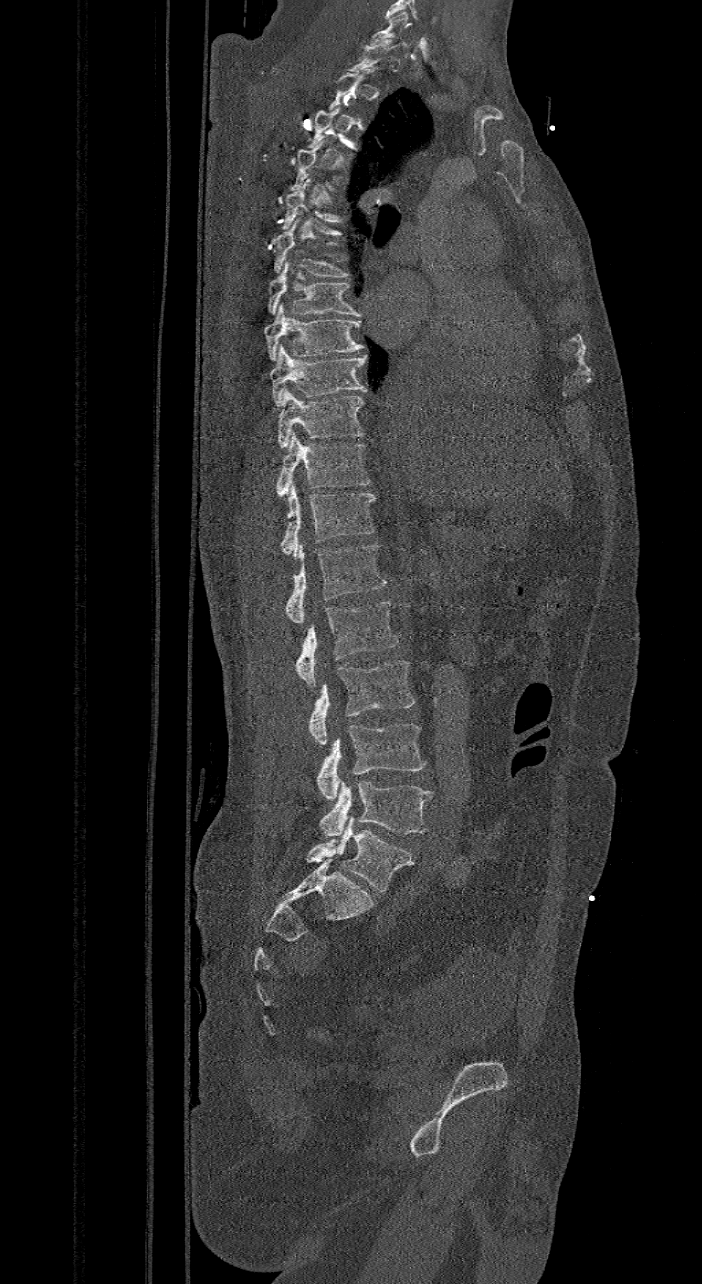
Spine CT; sagittal view; 702x1284 px. Bounding boxes as [x1, y1, x2, y2] in pixel coordinates.
Not every vertebra on this slice has a box: a vertebra is boxed only from the first to the last slice where its cross-section is at least a third of its largest, and this slice is outside that range for at least one of them.
In these labels the spine has an L6, a sixth lumbar vertebra below L5.
Vertebra bounding boxes:
- C7: [369, 11, 407, 45]
- T6: [274, 218, 348, 277]
- T7: [267, 262, 362, 316]
- T8: [263, 303, 364, 361]
- T9: [270, 344, 368, 406]
- T10: [278, 389, 364, 447]
- T11: [277, 432, 370, 496]
- T12: [280, 482, 376, 559]
- L1: [285, 545, 387, 622]
- L2: [295, 600, 399, 688]
- L3: [308, 661, 416, 744]
- L4: [317, 724, 425, 800]
- L5: [319, 781, 432, 837]
- L6: [307, 816, 413, 892]